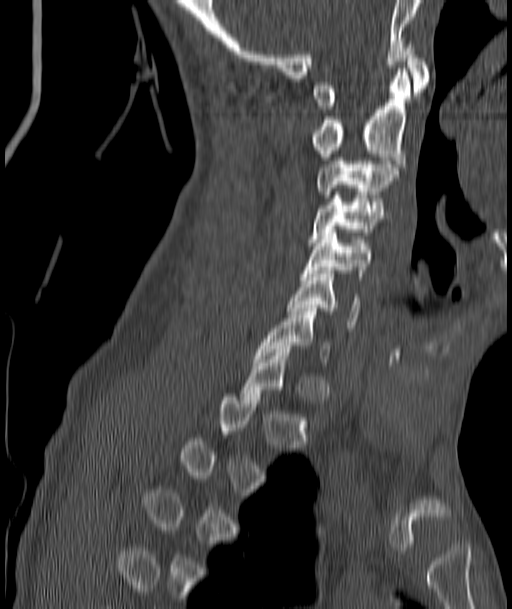
CT spine · sagittal view · bone window · 187 mm wide · 512x609 px
Bounding boxes as [x1, y1, x2, y2] in pixel coordinates.
A vertebra is boxed only from the first to the last slice where its cross-section is at least a third of its largest; slices outside that range leave it without a box.
Vertebra bounding boxes:
- C1: [313, 44, 427, 109]
- C2: [313, 68, 411, 163]
- C3: [316, 157, 397, 198]
- C4: [308, 192, 383, 242]
- C5: [302, 229, 374, 276]
- C6: [288, 270, 359, 328]
- C7: [255, 308, 329, 362]